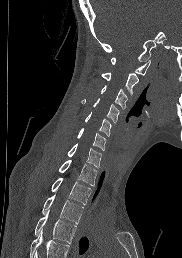 CT, spine — sagittal view — bone window — image width 182 mm

Each row gives a vertebra's box as x1, y1, x2, y2 in pixels: top-left corner, then bottom-right corner.
A vertebra cut off by the bottom edge of the scan is not labeled and has no box.
| vertebra | x1 | y1 | x2 | y2 |
|---|---|---|---|---|
| C1 | 110 | 57 | 150 | 75 |
| C2 | 101 | 72 | 138 | 95 |
| C3 | 101 | 85 | 127 | 109 |
| C4 | 81 | 98 | 119 | 122 |
| C5 | 85 | 111 | 111 | 136 |
| C6 | 76 | 128 | 106 | 150 |
| C7 | 67 | 143 | 101 | 167 |
| T1 | 58 | 159 | 97 | 186 |
| T2 | 51 | 177 | 91 | 204 |
| T3 | 42 | 194 | 83 | 223 |
| T4 | 34 | 210 | 76 | 243 |